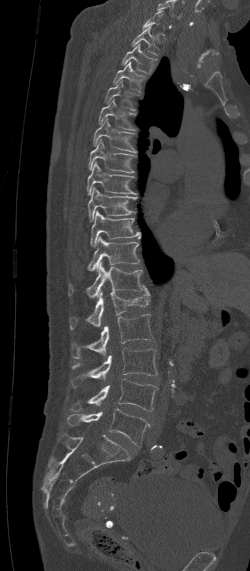
Computed tomography of the spine. sagittal reformat. Bone window (WL 400, WW 1800). 250x571 px
Each box is [x1, y1, x2, y2] in pixels: top-left corner, then bottom-right corner.
Each vertebra is boxed only on the slices from the first to the last where its cross-section reaches a third of its largest, so a slice outside that range leaves it unboxed.
{"vertebrae":{"T1":[131,26,159,56],"T2":[122,42,156,73],"T3":[113,62,145,92],"T4":[105,80,137,110],"T5":[97,97,137,130],"T6":[92,118,136,152],"T7":[89,138,135,173],"T8":[87,161,137,195],"T9":[88,187,137,220],"T10":[90,211,140,247],"T11":[87,236,139,270],"T12":[68,261,143,297],"L1":[68,284,150,329],"L2":[71,314,155,358],"L3":[70,348,157,387],"L4":[69,379,158,411],"L5":[67,408,150,445]}}